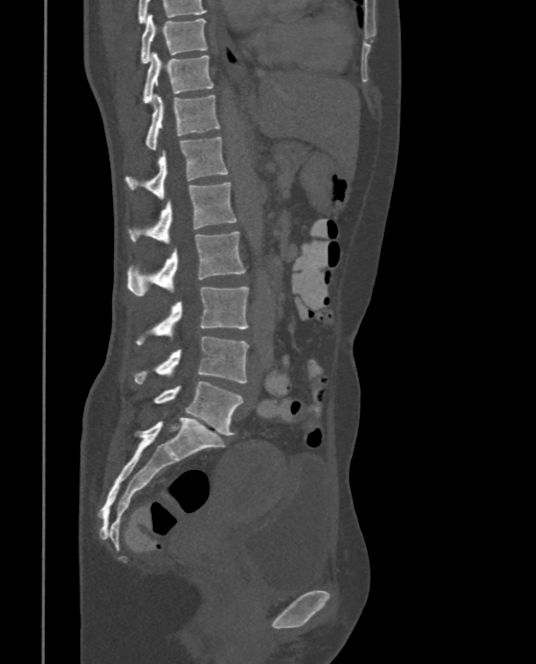 CT · sagittal view. Coordinates as <box>x1,y1,x2,y2</box>.
Vertebra bounding boxes:
- T9: <box>140,14,207,63</box>
- T10: <box>141,53,213,103</box>
- T11: <box>145,94,220,150</box>
- T12: <box>126,137,229,197</box>
- L1: <box>127,181,238,243</box>
- L2: <box>127,231,246,296</box>
- L3: <box>136,286,249,345</box>
- L4: <box>131,336,249,383</box>
- L5: <box>153,381,243,435</box>